CT spine. sagittal plane, index 214. bone window. image width 150 mm. 512x943 px
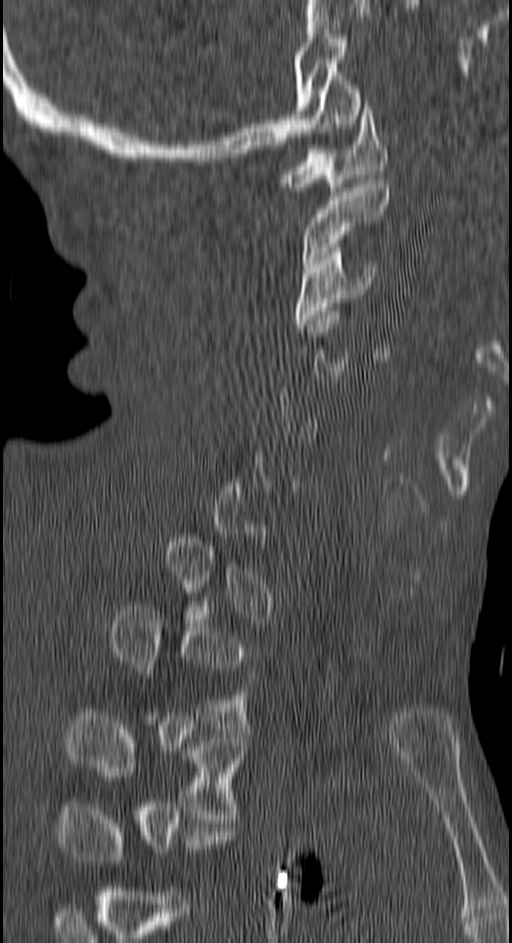 Box edges are left/top/right/bottom in pixels.
A vertebra gets a box only on the slices from the first to the last where its cross-section is at least a third of its largest; on a slice outside that range it gets none.
| vertebra | x1 | y1 | x2 | y2 |
|---|---|---|---|---|
| T3 | 66 | 713 | 246 | 818 |
| T2 | 110 | 606 | 249 | 729 |
| C3 | 294 | 247 | 376 | 328 |
| C2 | 302 | 179 | 389 | 268 |
| C1 | 281 | 102 | 386 | 191 |